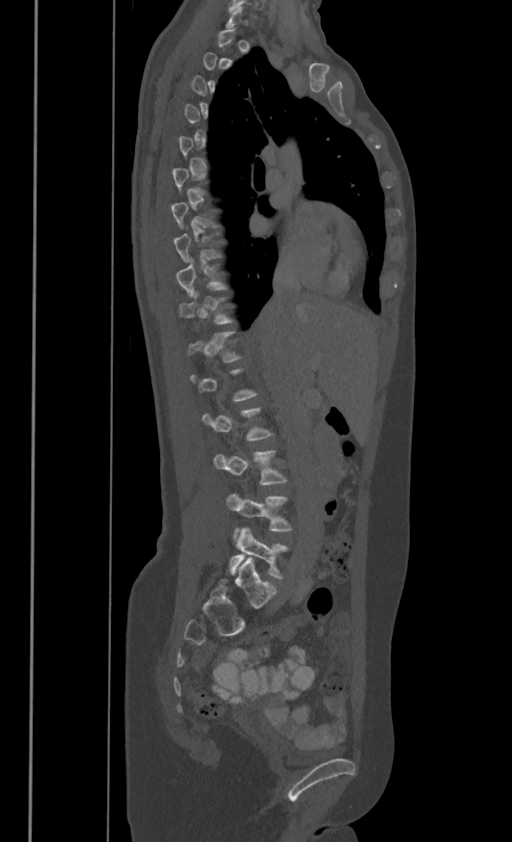 Computed tomography of the spine — sagittal view — bone window
A vertebra gets a box only on the slices from the first to the last where its cross-section is at least a third of its largest; on a slice outside that range it gets none.
<vertebrae><v name="L5" x1="229" y1="528" x2="288" y2="578"/><v name="L4" x1="227" y1="494" x2="292" y2="537"/><v name="L3" x1="213" y1="450" x2="287" y2="484"/><v name="T10" x1="179" y1="290" x2="232" y2="323"/><v name="T9" x1="176" y1="258" x2="226" y2="296"/></vertebrae>